Spine CT · Sagittal slice 234/512 · bone window
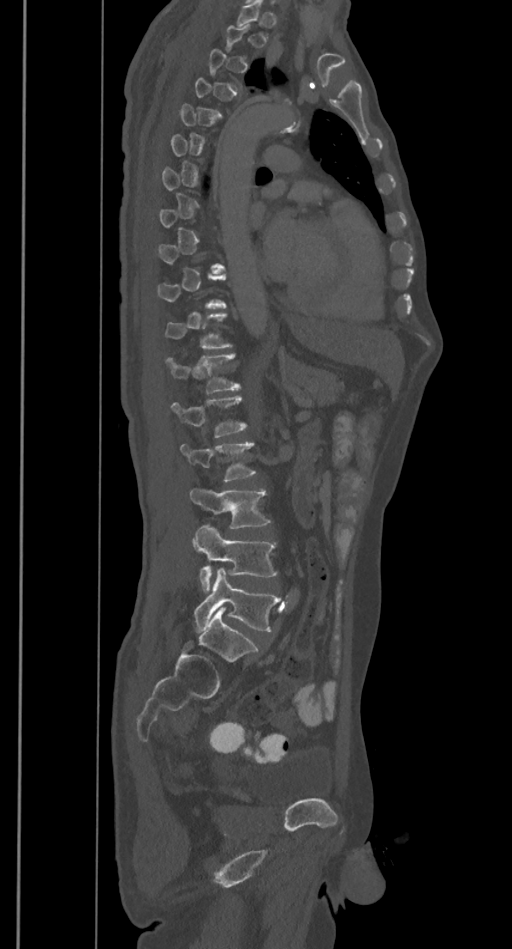 Not every vertebra on this slice has a box: a vertebra is boxed only from the first to the last slice where its cross-section is at least a third of its largest, and this slice is outside that range for at least one of them.
<vertebrae><v name="T12" x1="165" y1="353" x2="240" y2="393"/><v name="L1" x1="171" y1="396" x2="248" y2="437"/><v name="L2" x1="181" y1="443" x2="255" y2="481"/><v name="L3" x1="190" y1="487" x2="270" y2="528"/><v name="L4" x1="193" y1="523" x2="277" y2="591"/><v name="L5" x1="194" y1="567" x2="281" y2="632"/></vertebrae>